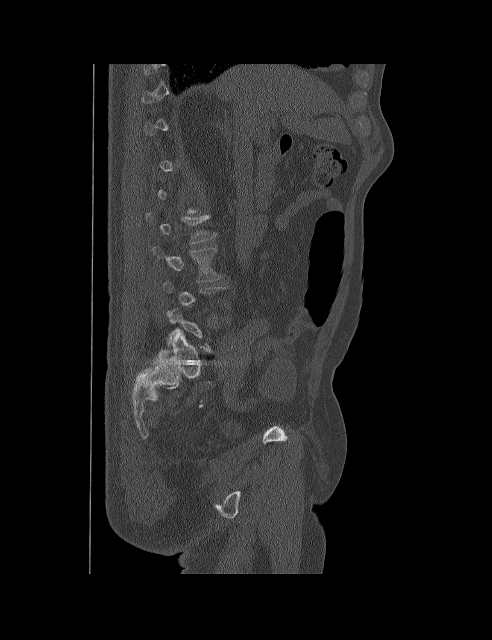

Spine computed tomography; sagittal reformat

Bounding boxes as [x1, y1, x2, y2] in pixel coordinates.
Not every vertebra on this slice has a box: a vertebra is boxed only from the first to the last slice where its cross-section is at least a third of its largest, and this slice is outside that range for at least one of them.
Vertebra bounding boxes:
- L2: [145, 213, 218, 244]
- L3: [152, 246, 221, 281]